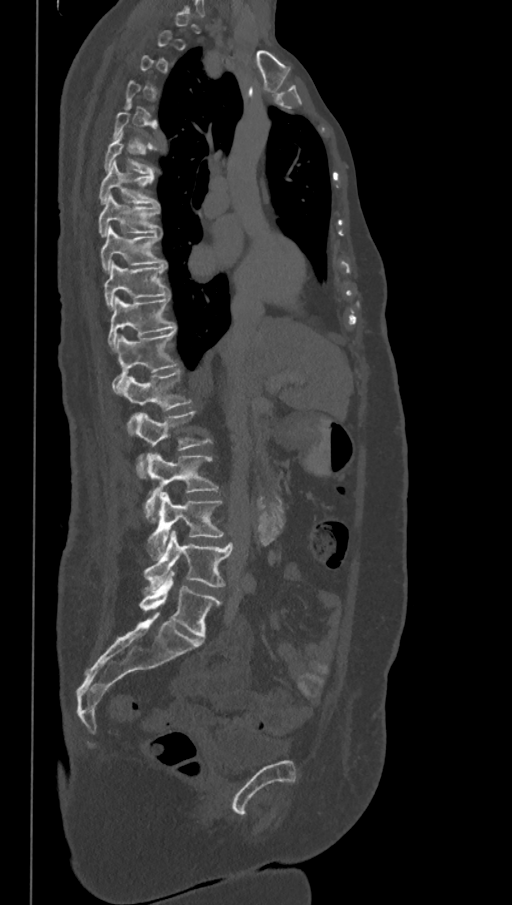 CT, spine · image width 368 mm · sagittal view · W/L 1800/400 HU · 512x905 px

A vertebra gets a box only on the slices from the first to the last where its cross-section is at least a third of its largest; on a slice outside that range it gets none.
In these labels the spine has an L6, a sixth lumbar vertebra below L5.
<vertebrae><v name="L6" x1="139" y1="570" x2="221" y2="638"/><v name="L5" x1="144" y1="530" x2="233" y2="590"/><v name="L4" x1="147" y1="491" x2="223" y2="557"/><v name="L3" x1="143" y1="453" x2="219" y2="521"/><v name="L2" x1="134" y1="412" x2="210" y2="477"/><v name="L1" x1="123" y1="369" x2="191" y2="435"/><v name="T12" x1="112" y1="329" x2="177" y2="395"/><v name="T11" x1="108" y1="296" x2="175" y2="350"/><v name="T10" x1="104" y1="262" x2="169" y2="310"/><v name="T9" x1="100" y1="227" x2="166" y2="269"/><v name="T8" x1="99" y1="193" x2="159" y2="237"/><v name="T7" x1="99" y1="162" x2="157" y2="204"/><v name="T6" x1="104" y1="133" x2="153" y2="176"/></vertebrae>